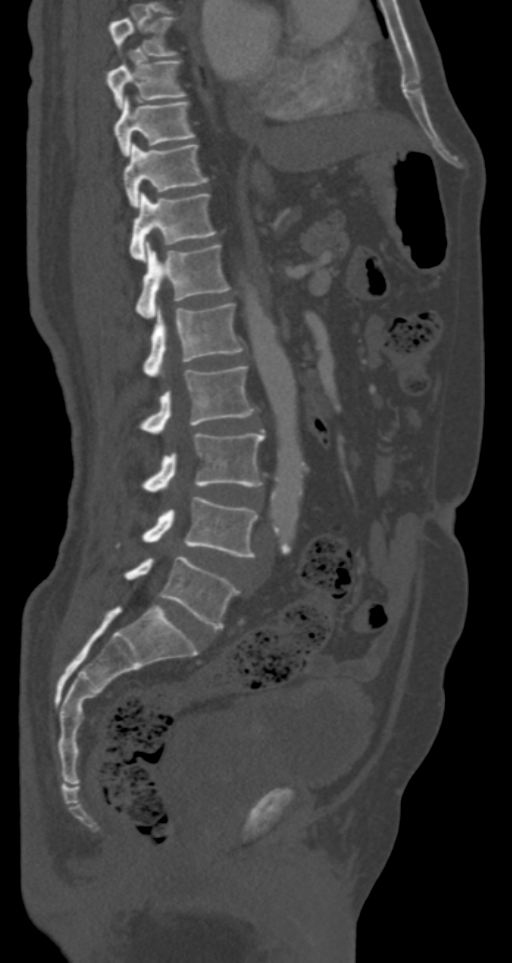

Spine CT — image 287 mm wide — sagittal reformat
Box edges are left/top/right/bottom in pixels.
T7: left=108, top=17, right=177, bottom=55
T8: left=107, top=60, right=186, bottom=108
T9: left=114, top=96, right=195, bottom=156
T10: left=123, top=142, right=207, bottom=208
T11: left=130, top=192, right=216, bottom=261
T12: left=135, top=242, right=231, bottom=317
L1: left=144, top=303, right=243, bottom=377
L2: left=141, top=366, right=254, bottom=434
L3: left=142, top=431, right=264, bottom=491
L4: left=142, top=497, right=257, bottom=557
L5: left=124, top=556, right=239, bottom=628